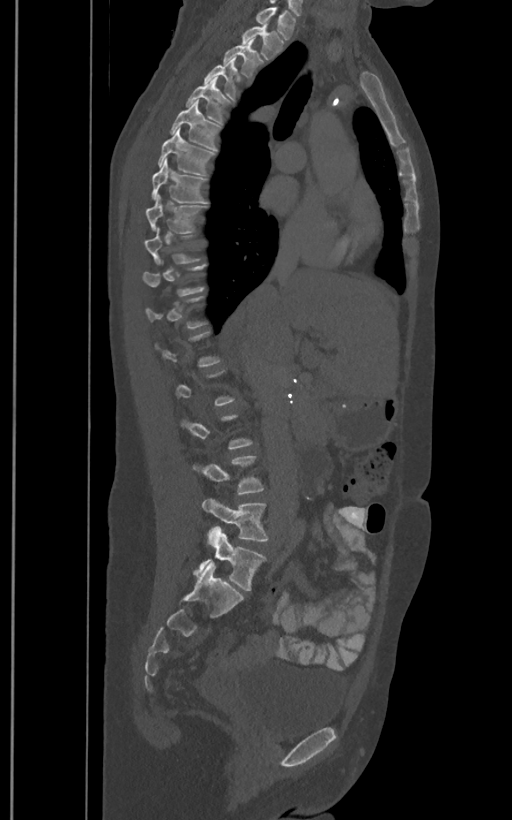

CT — sagittal view — 512x820 px
Boxes: x1:y1:x2:y2 in pixels.
A vertebra gets a box only on the slices from the first to the last where its cross-section is at least a third of its largest; on a slice outside that range it gets none.
In these labels the spine has an L6, a sixth lumbar vertebra below L5.
Vertebra bounding boxes:
- L6: 198:528:266:590
- L5: 202:498:269:542
- T9: 146:195:204:232
- T8: 152:159:206:203
- T7: 159:128:214:175
- T6: 170:100:219:150
- T5: 185:77:229:123
- T4: 205:56:237:99
- T3: 223:38:261:77
- T2: 242:20:282:59
- T1: 256:6:296:39